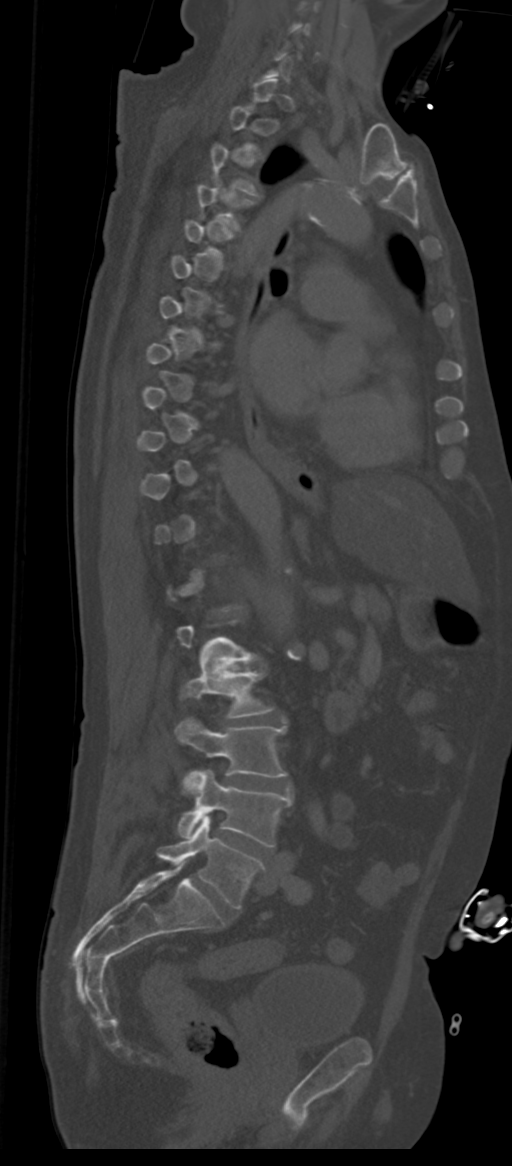

Spine computed tomography; sagittal view

Bounding boxes as [x1, y1, x2, y2] in pixel coordinates.
A vertebra gets a box only on the slices from the first to the last where its cross-section is at least a third of its largest; on a slice outside that range it gets none.
These labels give the spine a sixth lumbar vertebra, L6, below L5.
L3: [181, 671, 271, 717]
L4: [176, 718, 286, 791]
L5: [178, 769, 292, 846]
L6: [157, 816, 263, 908]